CT · sagittal view · 512x1305 px · scan covers 23 annotated vertebrae · a uniform gray block covers part of the image
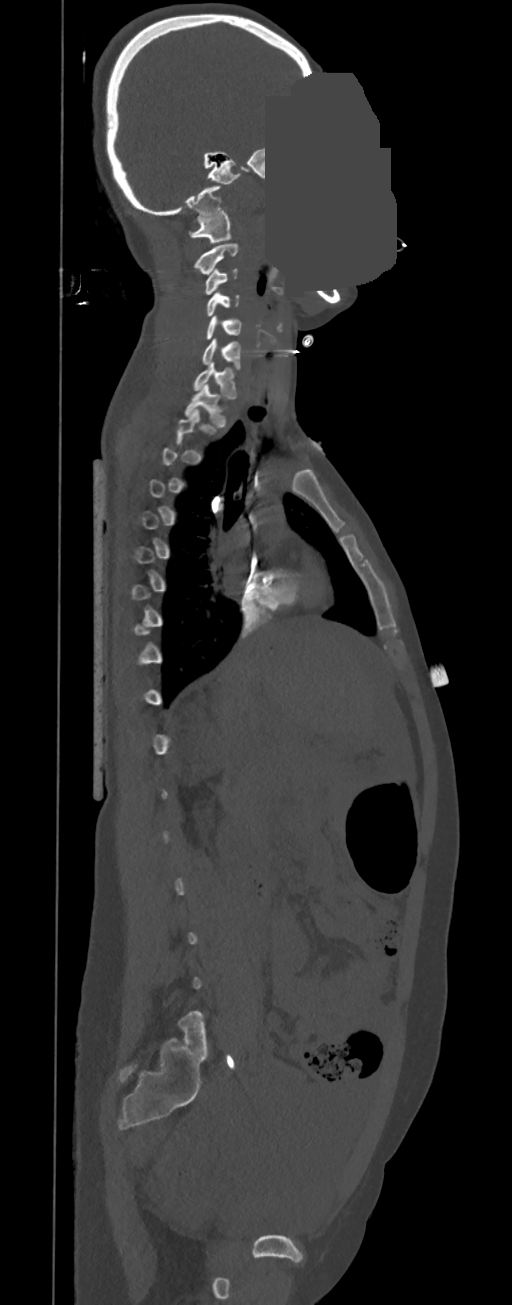

Bounding boxes as [x1, y1, x2, y2] in pixel coordinates. A vertebra gets a box only on the slices from the first to the last where its cross-section is at least a third of its largest; on a slice outside that range it gets none. Vertebrae labeled: C1 at [189, 211, 231, 243], C2 at [194, 244, 237, 275], C3 at [205, 269, 237, 294], C4 at [206, 292, 239, 316], C5 at [206, 316, 242, 339], C6 at [202, 338, 240, 369], C7 at [193, 362, 236, 399], T1 at [184, 383, 226, 427].